CT; sagittal plane, index 279; bone window
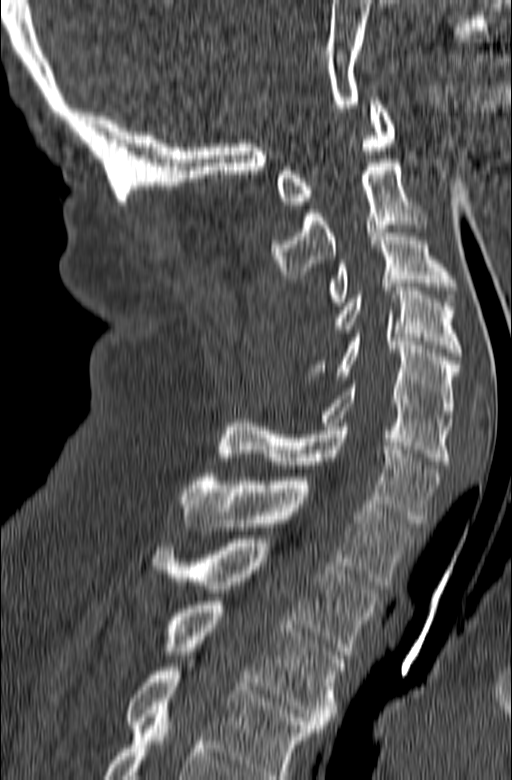 Boxes: x1 y1 x2 y2 (pixel coords, space-separated). This scan's labels start at C1 at the top and end at T3 at the bottom. The labeled vertebrae in this slice are: T3 at 163 601 344 728, T2 at 151 539 379 655, T1 at 180 473 415 585, C7 at 218 419 441 523, C6 at 321 380 450 464, C5 at 306 334 459 418, C4 at 333 287 462 356, C3 at 325 225 457 305, C2 at 271 159 428 278, C1 at 276 97 394 205.